CT, spine — sagittal view — bone-window reconstruction — 512x612 px — 7 vertebrae labeled in this scan
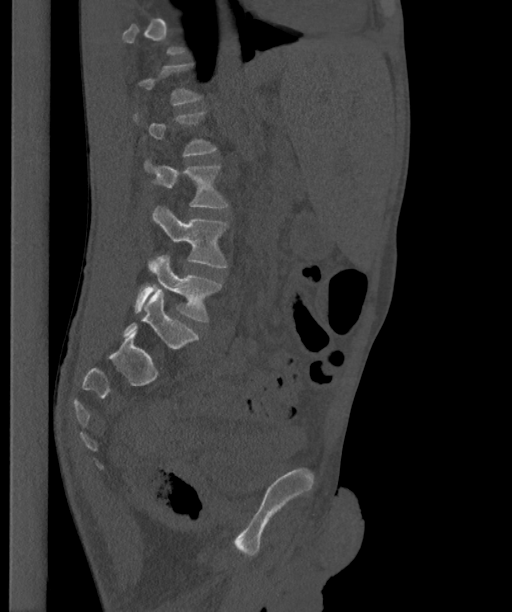

Each vertebra is boxed only on the slices from the first to the last where its cross-section reaches a third of its largest, so a slice outside that range leaves it unboxed.
These labels give the spine a sixth lumbar vertebra, L6, below L5.
<vertebrae><v name="L3" x1="144" y1="159" x2="227" y2="207"/><v name="L4" x1="152" y1="206" x2="227" y2="267"/><v name="L5" x1="134" y1="255" x2="222" y2="321"/><v name="L6" x1="123" y1="289" x2="198" y2="348"/></vertebrae>